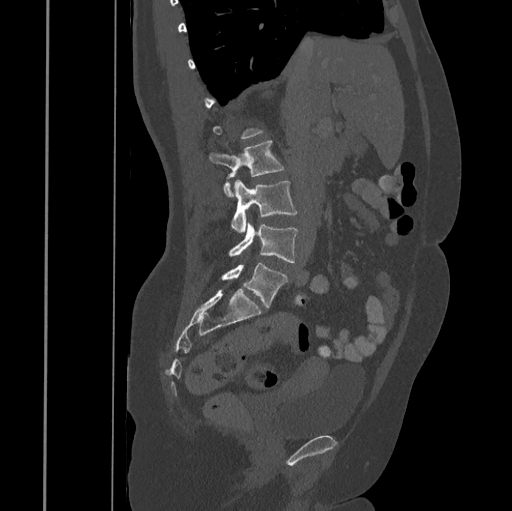

Spine computed tomography — sagittal view

Each row gives a vertebra's box as x1, y1, x2, y2 in pixels: top-left corner, then bottom-right corner.
Each vertebra is boxed only on the slices from the first to the last where its cross-section reaches a third of its largest, so a slice outside that range leaves it unboxed.
| vertebra | x1 | y1 | x2 | y2 |
|---|---|---|---|---|
| L2 | 209 | 140 | 284 | 196 |
| L3 | 231 | 179 | 298 | 232 |
| L4 | 229 | 222 | 298 | 262 |
| L5 | 222 | 262 | 288 | 308 |